CT, spine — sagittal view — bone-window reconstruction — image width 210 mm — 768x1218 px — scan covers 6 annotated vertebrae
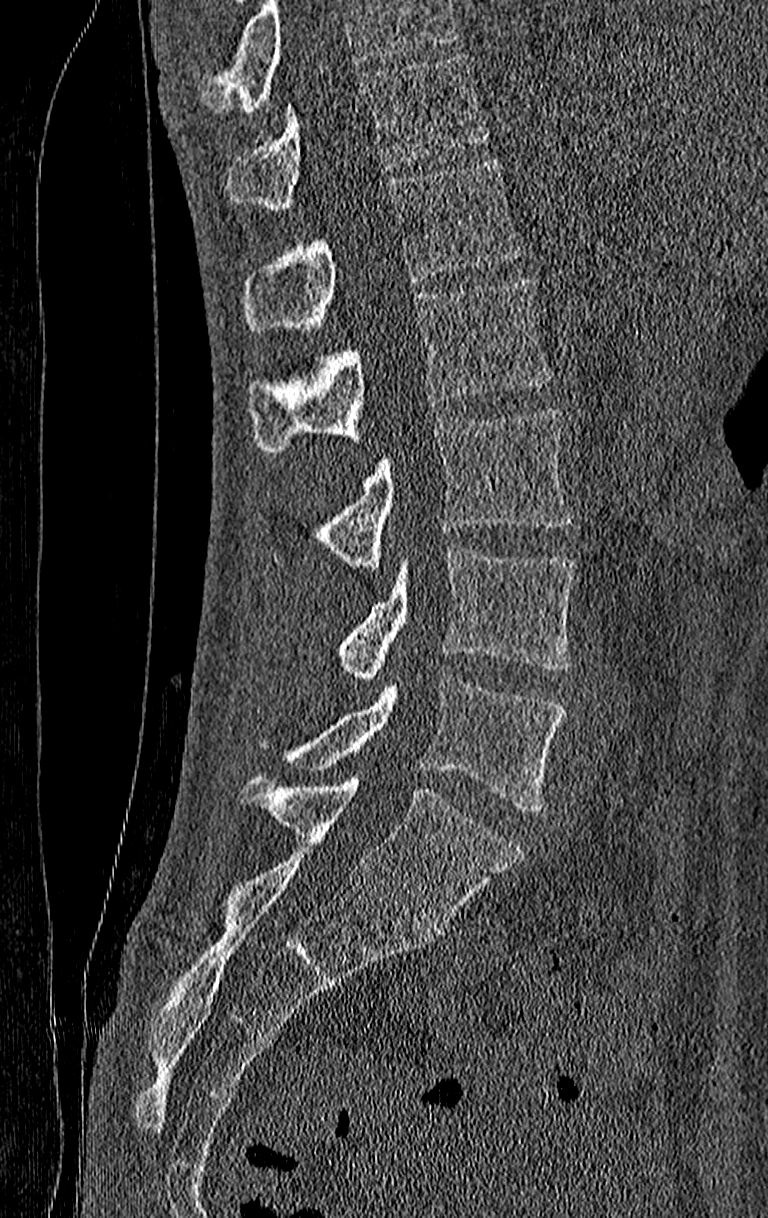

Each box given as x1,y1,x2,y2.
Where the top of the scan cuts through a vertebra, that vertebra gets no label or box.
In this scan, the topmost labeled vertebra is T11 and the lowest is L4.
| vertebra | x1 | y1 | x2 | y2 |
|---|---|---|---|---|
| T11 | 229 | 53 | 488 | 211 |
| T12 | 244 | 158 | 524 | 333 |
| L1 | 247 | 278 | 554 | 453 |
| L2 | 251 | 410 | 575 | 567 |
| L3 | 335 | 546 | 575 | 677 |
| L4 | 255 | 673 | 565 | 812 |